CT · Sagittal slice 270/512 · 512x808 px
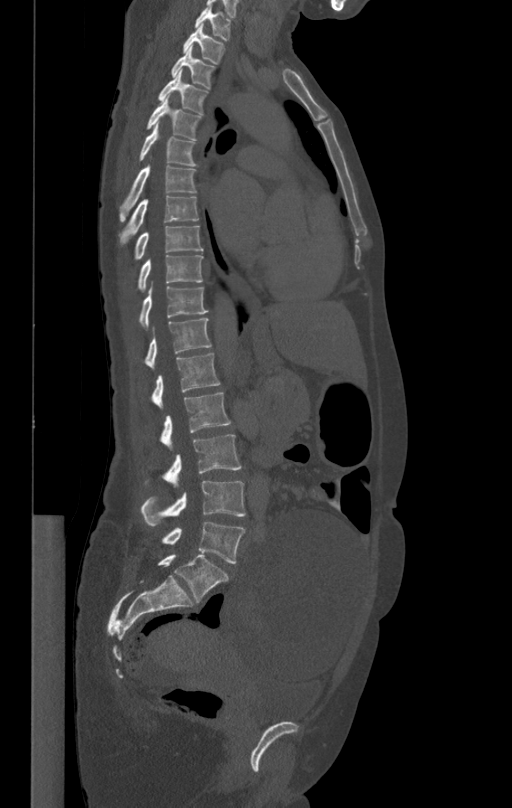

Boxes below are [x1, y1, x2, y2] in pixels.
{"vertebrae":{"L5":[158,521,245,563],"L4":[140,481,245,526],"L3":[144,435,241,486],"L2":[160,393,230,447],"L1":[150,352,220,407],"T12":[144,318,211,368],"T11":[138,286,208,328],"T10":[138,255,203,291],"T9":[127,226,203,269],"T8":[118,196,198,245],"T7":[119,166,196,220],"T6":[139,124,198,166],"T5":[147,94,200,139],"T4":[159,70,208,113],"T3":[171,47,215,88],"T2":[184,25,225,64],"T1":[195,6,230,39]}}